Computed tomography of the spine · sagittal reformat · bone window
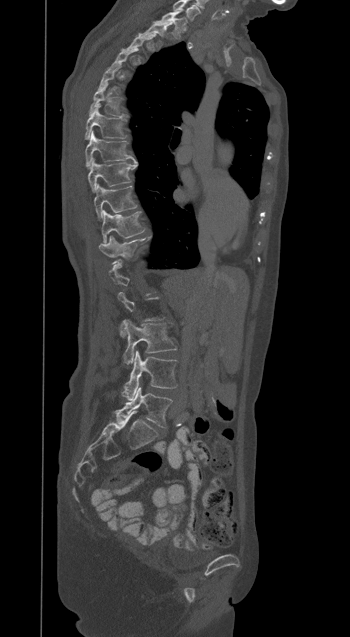 Boxes are (x1, y1, x2, y2) in pixels.
Not every vertebra on this slice has a box: a vertebra is boxed only from the first to the last slice where its cross-section is at least a third of its largest, and this slice is outside that range for at least one of them.
Labels in this scan begin with T1 at the top and end with L5 at the bottom.
L5: (116, 387, 172, 427)
L4: (124, 351, 177, 400)
L3: (122, 320, 176, 364)
T12: (99, 236, 144, 257)
T11: (101, 210, 144, 243)
T10: (94, 185, 136, 220)
T9: (88, 158, 137, 192)
T8: (85, 132, 135, 168)
T7: (85, 104, 124, 139)
T6: (89, 84, 121, 115)
T2: (144, 22, 172, 43)
T1: (156, 11, 184, 36)